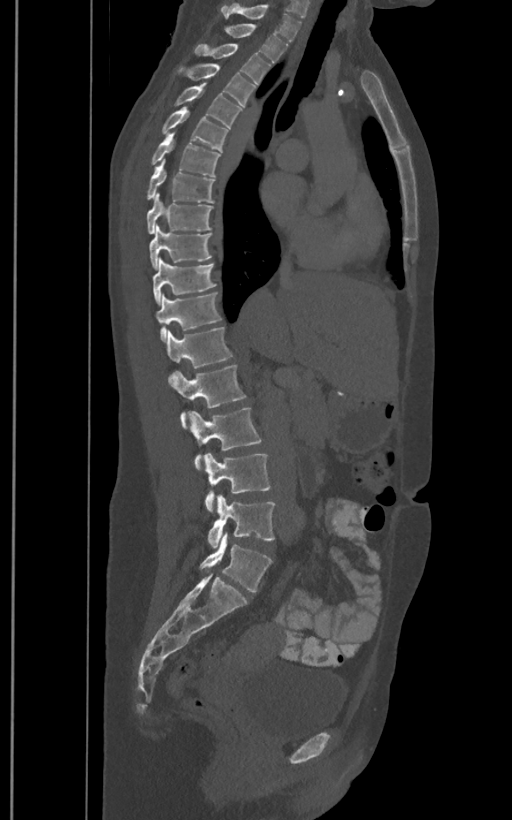 Spine computed tomography — sagittal reformat — W/L 1800/400 HU — image 400 mm wide — 512x820 px
Bounding boxes as [x1, y1, x2, y2] in pixel coordinates.
These labels give the spine a sixth lumbar vertebra, L6, below L5.
L6: [200, 532, 271, 591]
L5: [207, 494, 275, 549]
L4: [203, 453, 270, 512]
L3: [187, 407, 261, 470]
L2: [169, 365, 246, 428]
L1: [165, 327, 232, 368]
T12: [155, 293, 222, 341]
T11: [152, 257, 215, 303]
T10: [150, 225, 211, 269]
T9: [147, 194, 213, 233]
T8: [147, 160, 214, 203]
T7: [151, 131, 220, 176]
T6: [162, 106, 228, 151]
T5: [175, 83, 242, 127]
T4: [187, 63, 256, 106]
T3: [193, 44, 270, 84]
T2: [225, 24, 288, 62]
T1: [221, 3, 301, 42]